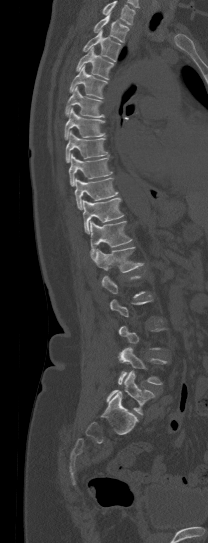
Computed tomography of the spine; sagittal view; 208x543 px
Box edges are left/top/right/bottom in pixels.
Not every vertebra on this slice has a box: a vertebra is boxed only from the first to the last slice where its cross-section is at least a third of its largest, and this slice is outside that range for at least one of them.
A vertebra cut off by the top edge of the scan is not labeled and has no box.
| vertebra | x1 | y1 | x2 | y2 |
|---|---|---|---|---|
| T1 | 94 | 14 | 130 | 42 |
| T2 | 83 | 30 | 120 | 61 |
| T3 | 76 | 46 | 113 | 79 |
| T4 | 69 | 65 | 106 | 97 |
| T5 | 65 | 86 | 104 | 117 |
| T6 | 64 | 107 | 104 | 139 |
| T7 | 66 | 131 | 107 | 162 |
| T8 | 69 | 153 | 111 | 185 |
| T9 | 74 | 178 | 117 | 209 |
| T10 | 83 | 198 | 123 | 233 |
| T11 | 90 | 221 | 131 | 259 |
| T12 | 94 | 247 | 144 | 272 |
| L4 | 118 | 347 | 167 | 384 |
| L5 | 107 | 370 | 154 | 414 |